CT spine. Sagittal slice 177/512
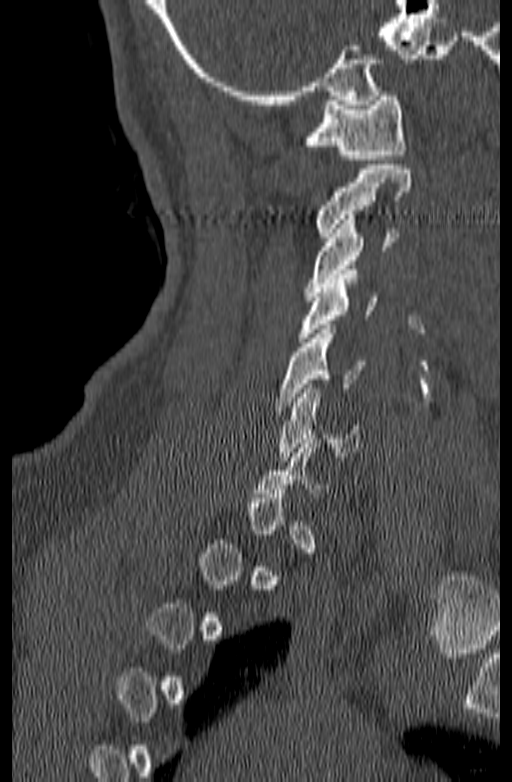
Each box given as x1,y1,x2,y2.
A vertebra is boxed only from the first to the last slice where its cross-section is at least a third of its largest; slices outside that range leave it without a box.
Vertebra bounding boxes:
- C6: x1=277, y1=384, x2=360, y2=461
- C5: x1=276, y1=325, x2=366, y2=406
- C4: x1=295, y1=270, x2=377, y2=342
- C3: x1=305, y1=215, x2=397, y2=296
- C2: x1=316, y1=165, x2=411, y2=237
- C1: x1=304, y1=91, x2=406, y2=159